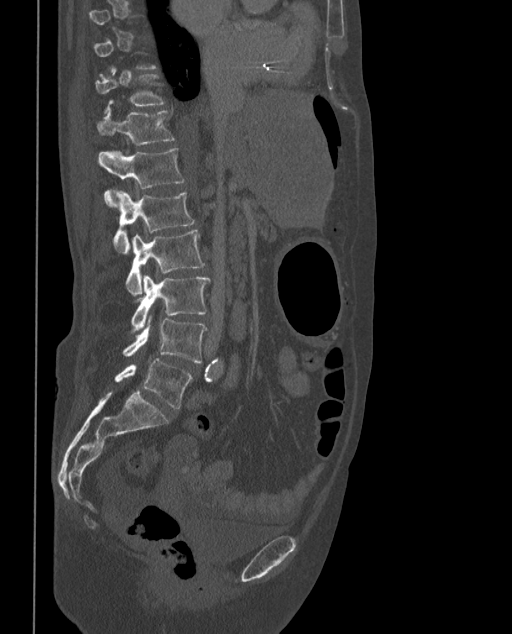

CT, spine; sagittal view
Boxes: x1 y1 x2 y2 (pixel coords, space-separated). Not every vertebra on this slice has a box: a vertebra is boxed only from the first to the last slice where its cross-section is at least a third of its largest, and this slice is outside that range for at least one of them. These labels give the spine a sixth lumbar vertebra, L6, below L5. The labeled vertebrae in this slice are: T11 at 96 69 164 113, T12 at 97 111 175 145, L1 at 97 148 184 207, L2 at 114 190 195 252, L3 at 126 229 205 295, L4 at 132 275 210 333, L5 at 123 315 206 362, L6 at 114 358 192 408.